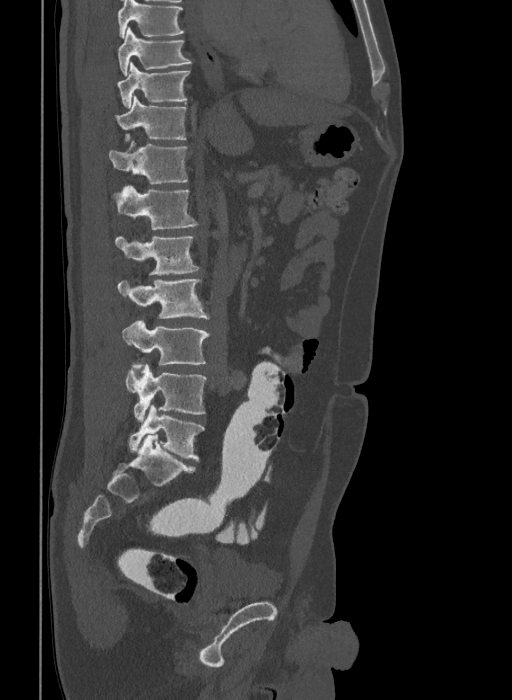 CT spine. sagittal reformat. 409 mm image width. W/L 1800/400 HU

Boxes: x1 y1 x2 y2 (pixel coords, space-separated). The highest labeled vertebra in this scan is T9; the lowest is L6. In these labels the spine has an L6, a sixth lumbar vertebra below L5. The labeled vertebrae in this slice are: T9 at 118 27 190 76, T10 at 116 62 189 107, T11 at 115 96 185 140, T12 at 109 141 187 183, L1 at 112 185 198 229, L2 at 115 237 198 274, L3 at 118 279 209 319, L4 at 122 320 210 369, L5 at 125 363 205 421, L6 at 128 404 204 460.